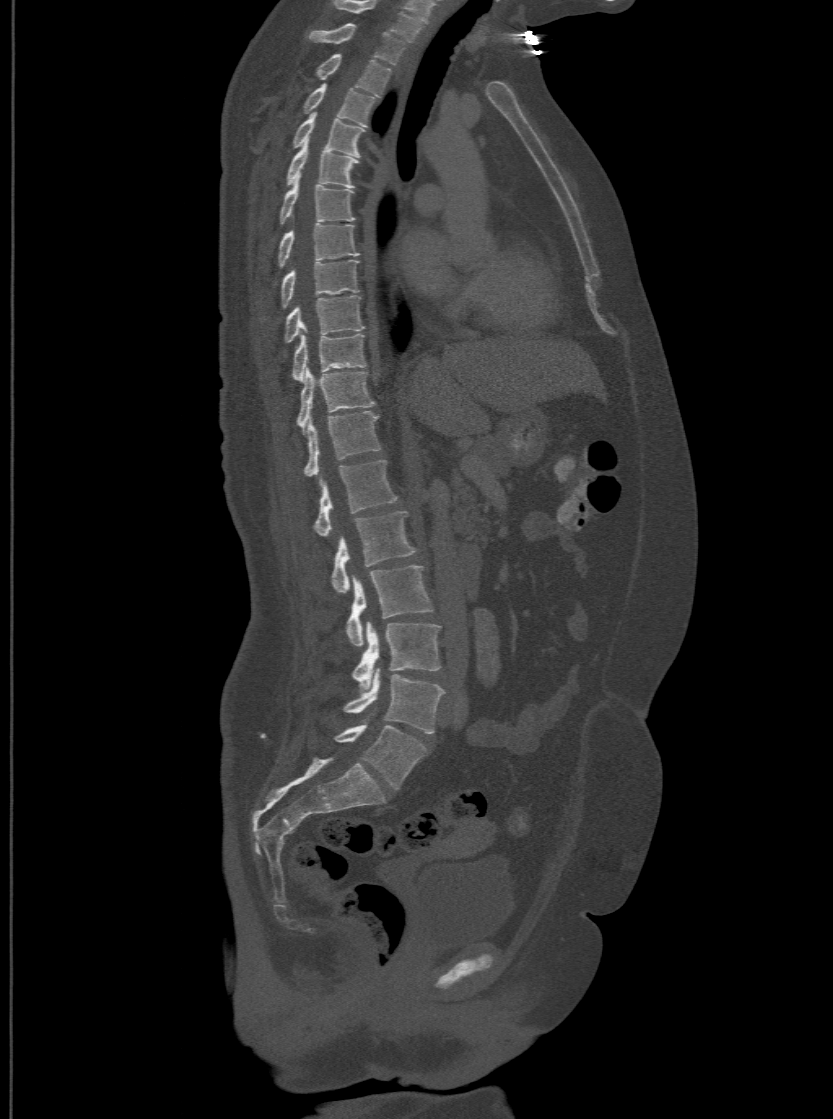 CT spine · the image is 500 mm wide · sagittal view · bone window
Each box given as x1,y1,x2,y2.
The highest labeled vertebra in this scan is T1; the lowest is L6.
The labels name a sixth lumbar vertebra for this spine: L6, after L5.
| vertebra | x1 | y1 | x2 | y2 |
|---|---|---|---|---|
| T1 | 308 | 22 | 404 | 64 |
| T2 | 316 | 53 | 391 | 96 |
| T3 | 301 | 82 | 373 | 126 |
| T4 | 291 | 112 | 364 | 156 |
| T5 | 285 | 140 | 359 | 186 |
| T6 | 278 | 178 | 354 | 222 |
| T7 | 277 | 222 | 359 | 266 |
| T8 | 280 | 258 | 359 | 306 |
| T9 | 283 | 295 | 364 | 342 |
| T10 | 291 | 333 | 365 | 379 |
| T11 | 296 | 368 | 373 | 432 |
| T12 | 303 | 410 | 380 | 476 |
| L1 | 312 | 458 | 398 | 534 |
| L2 | 332 | 510 | 416 | 593 |
| L3 | 345 | 566 | 432 | 645 |
| L4 | 352 | 623 | 440 | 688 |
| L5 | 343 | 669 | 443 | 733 |
| L6 | 335 | 724 | 425 | 788 |